Computed tomography of the spine. sagittal view. W/L 1800/400 HU. 382x541 px. 20 vertebrae labeled in this scan
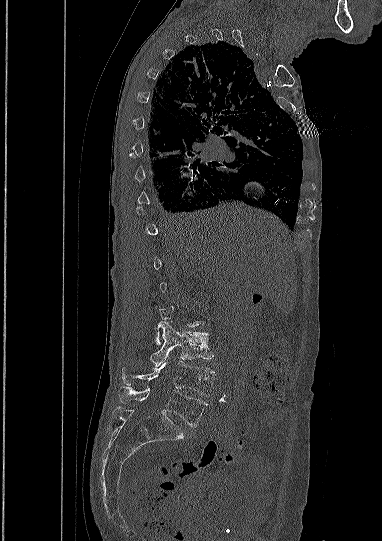 Boxes: x1 y1 x2 y2 (pixel coords, space-separated).
A vertebra gets a box only on the slices from the first to the last where its cross-section is at least a third of its largest; on a slice outside that range it gets none.
L5: 119 387 208 426
L4: 121 361 215 396
L3: 151 321 213 367